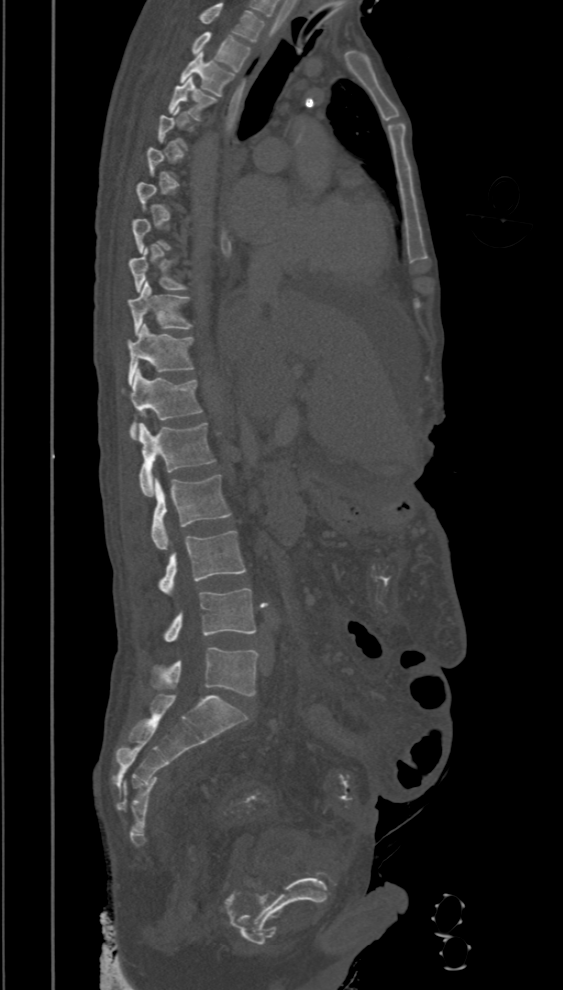
Spine CT — sagittal view — Bone window (WL 400, WW 1800) — 394 mm image width

Boxes: x1 y1 x2 y2 (pixel coords, space-separated). A vertebra gets a box only on the slices from the first to the last where its cross-section is at least a third of its largest; on a slice outside that range it gets none. The highest labeled vertebra in this scan is T2; the lowest is L5. The labeled vertebrae in this slice are: L5 at 150 647 257 696, L4 at 163 589 256 642, L3 at 158 530 246 592, L2 at 152 475 230 549, L1 at 139 423 216 496, T12 at 122 370 201 439, T11 at 126 323 194 385, T10 at 128 282 194 335, T9 at 129 248 187 292, T4 at 168 76 218 120, T3 at 180 53 234 96, T2 at 191 31 251 70.